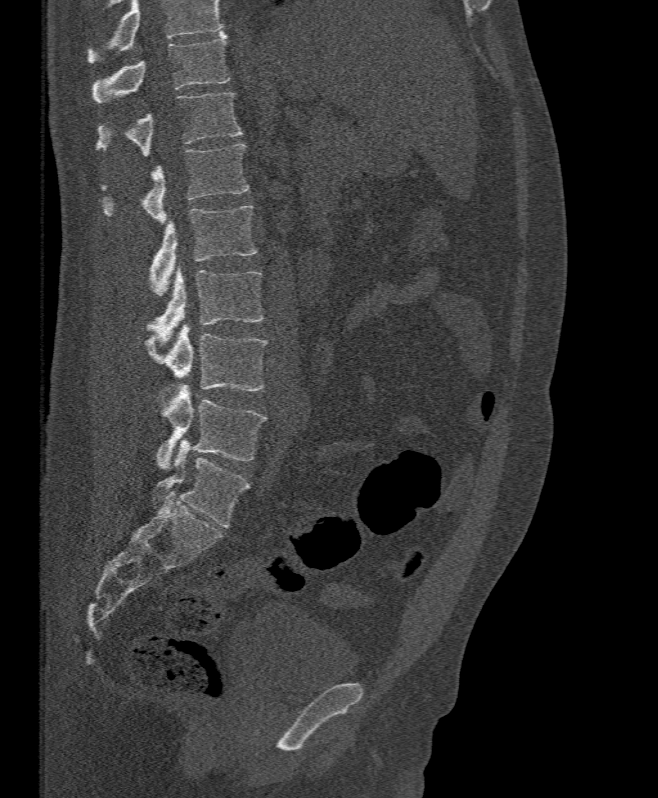 Spine computed tomography — the image is 395 mm wide — sagittal view — Bone window (WL 400, WW 1800)
No box is given to a vertebra that the top edge of the scan cuts off.
<vertebrae><v name="T11" x1="91" y1="31" x2="230" y2="102"/><v name="T12" x1="95" y1="92" x2="242" y2="156"/><v name="L1" x1="102" y1="143" x2="248" y2="222"/><v name="L2" x1="150" y1="205" x2="257" y2="296"/><v name="L3" x1="148" y1="267" x2="264" y2="349"/><v name="L4" x1="144" y1="323" x2="268" y2="391"/><v name="L5" x1="157" y1="383" x2="268" y2="469"/></vertebrae>